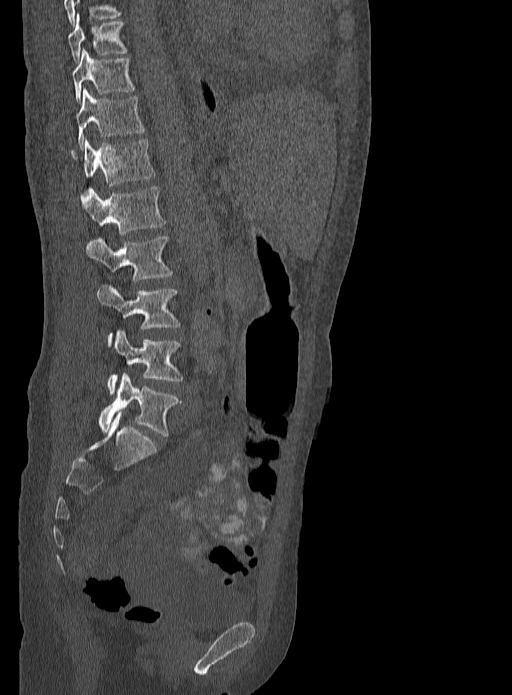

Spine computed tomography; sagittal reformat; 512x695 px
Bounding boxes as [x1, y1, x2, y2] in pixel coordinates.
Vertebra bounding boxes:
- L5: [98, 374, 180, 436]
- L4: [107, 331, 183, 394]
- L3: [97, 284, 180, 346]
- L2: [86, 235, 172, 280]
- L1: [83, 186, 166, 234]
- T12: [71, 138, 156, 185]
- T11: [77, 88, 145, 147]
- T10: [72, 49, 134, 104]
- T9: [67, 14, 126, 62]